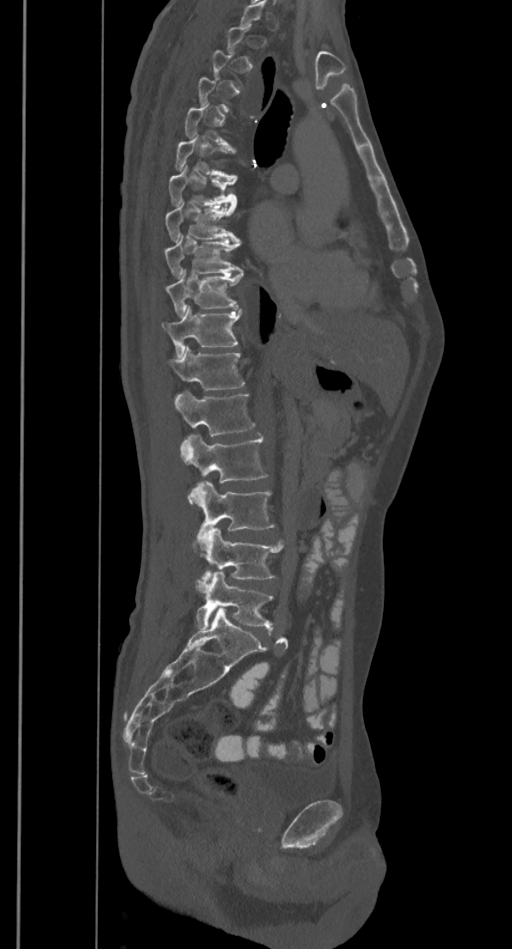

Spine CT · sagittal view · 385 mm image width · bone-window reconstruction
A vertebra is boxed only from the first to the last slice where its cross-section is at least a third of its largest; slices outside that range leave it without a box.
<vertebrae><v name="L5" x1="195" y1="571" x2="273" y2="629"/><v name="L4" x1="194" y1="527" x2="283" y2="578"/><v name="L3" x1="189" y1="481" x2="274" y2="530"/><v name="L2" x1="181" y1="434" x2="267" y2="483"/><v name="L1" x1="174" y1="390" x2="255" y2="436"/><v name="T12" x1="167" y1="347" x2="245" y2="389"/><v name="T11" x1="162" y1="305" x2="241" y2="357"/><v name="T10" x1="165" y1="269" x2="244" y2="316"/><v name="T9" x1="163" y1="233" x2="242" y2="277"/><v name="T8" x1="165" y1="203" x2="239" y2="241"/><v name="T7" x1="169" y1="168" x2="237" y2="207"/><v name="T6" x1="175" y1="135" x2="237" y2="179"/></vertebrae>